CT, spine · sagittal plane, index 305 · bone-window reconstruction · 512x923 px · 140 mm across the image
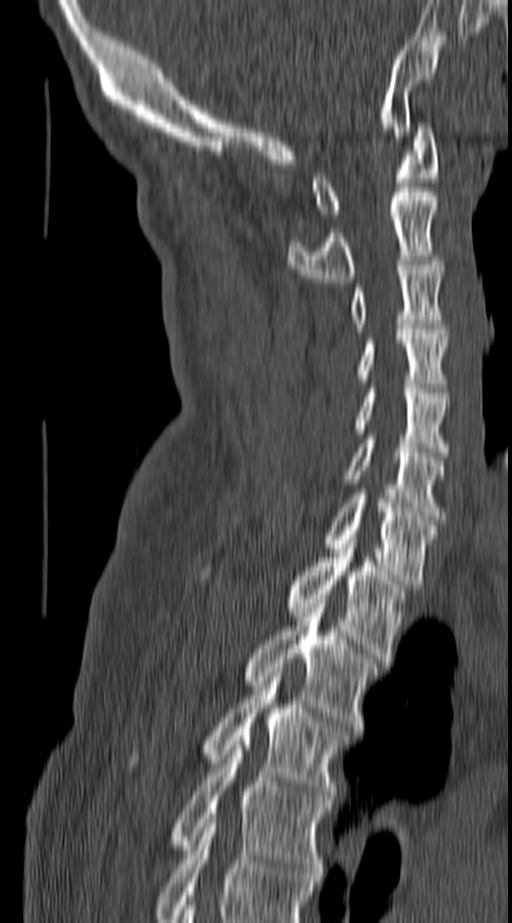
Each box given as x1,y1,x2,y2.
This scan's labels start at C1 at the top and end at T4 at the bottom.
Vertebra bounding boxes:
- T4: x1=173, y1=741, x2=329, y2=877
- T3: x1=206, y1=672, x2=344, y2=799
- T2: x1=246, y1=603, x2=377, y2=730
- T1: x1=287, y1=539, x2=403, y2=662
- C7: x1=327, y1=494, x2=436, y2=584
- C6: x1=349, y1=434, x2=443, y2=520
- C5: x1=356, y1=389, x2=447, y2=456
- C4: x1=360, y1=329, x2=447, y2=388
- C3: x1=352, y1=261, x2=444, y2=328
- C2: x1=287, y1=192, x2=439, y2=282
- C1: x1=312, y1=123, x2=439, y2=218